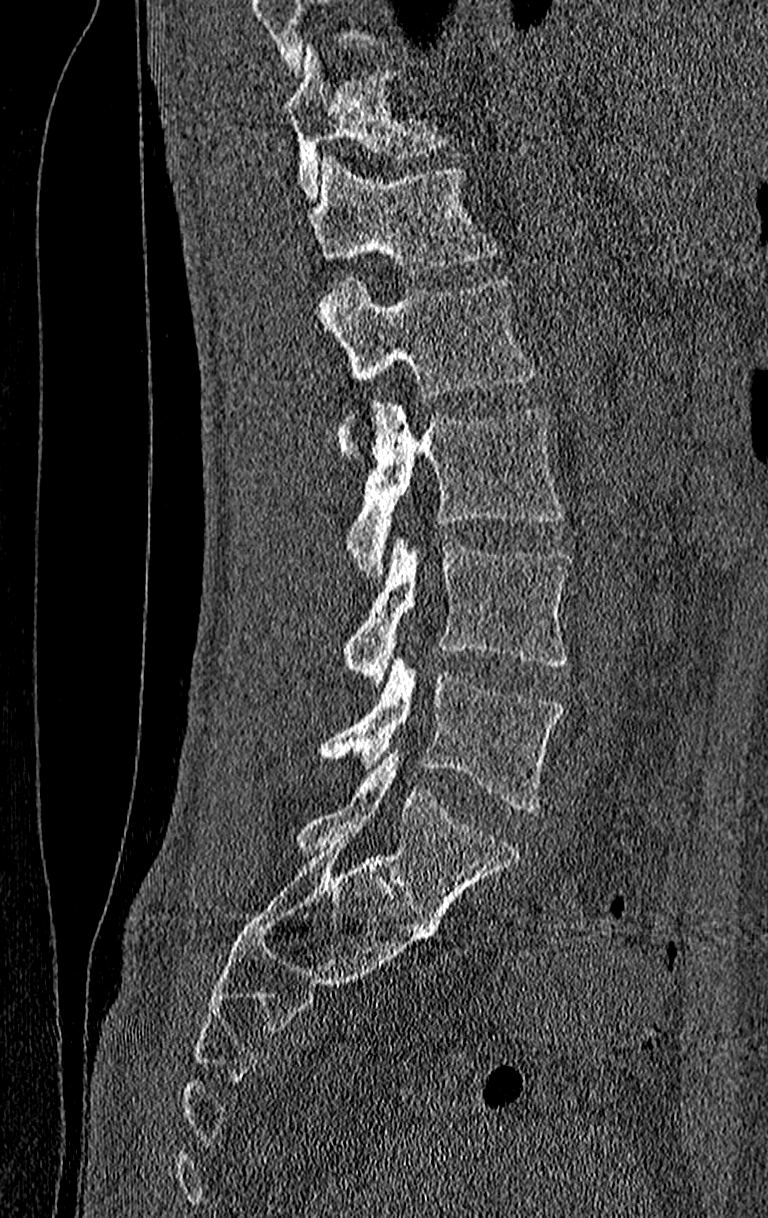
CT spine · sagittal view · Bone window (WL 400, WW 1800) · 768x1218 px

Boxes are (x1, y1, x2, y2) in pixels.
Where the top of the scan cuts through a vertebra, that vertebra gets no label or box.
The highest labeled vertebra in this scan is T11; the lowest is L4.
L4: (320, 657, 565, 812)
L3: (342, 535, 572, 684)
L2: (346, 403, 565, 573)
L1: (320, 278, 535, 458)
T12: (310, 155, 499, 274)
T11: (284, 48, 447, 198)